Spine CT · sagittal reformat · image 538 mm wide
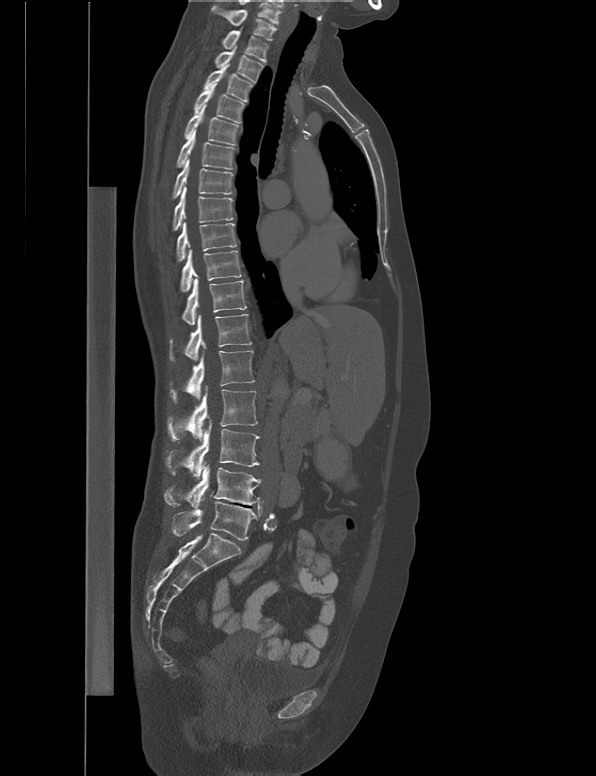
<vertebrae><v name="L5" x1="172" y1="491" x2="258" y2="540"/><v name="L4" x1="163" y1="464" x2="261" y2="507"/><v name="L3" x1="166" y1="419" x2="259" y2="480"/><v name="L2" x1="167" y1="385" x2="257" y2="442"/><v name="L1" x1="170" y1="350" x2="254" y2="402"/><v name="T12" x1="169" y1="314" x2="251" y2="361"/><v name="T11" x1="181" y1="278" x2="247" y2="325"/><v name="T10" x1="180" y1="249" x2="241" y2="291"/><v name="T9" x1="176" y1="219" x2="236" y2="263"/><v name="T8" x1="173" y1="186" x2="233" y2="231"/><v name="T7" x1="172" y1="158" x2="234" y2="199"/><v name="T6" x1="176" y1="130" x2="236" y2="169"/><v name="T5" x1="184" y1="105" x2="238" y2="145"/><v name="T4" x1="194" y1="82" x2="245" y2="123"/><v name="T3" x1="203" y1="63" x2="252" y2="101"/><v name="T2" x1="214" y1="46" x2="263" y2="83"/><v name="T1" x1="222" y1="26" x2="268" y2="62"/><v name="C7" x1="211" y1="5" x2="276" y2="40"/></vertebrae>